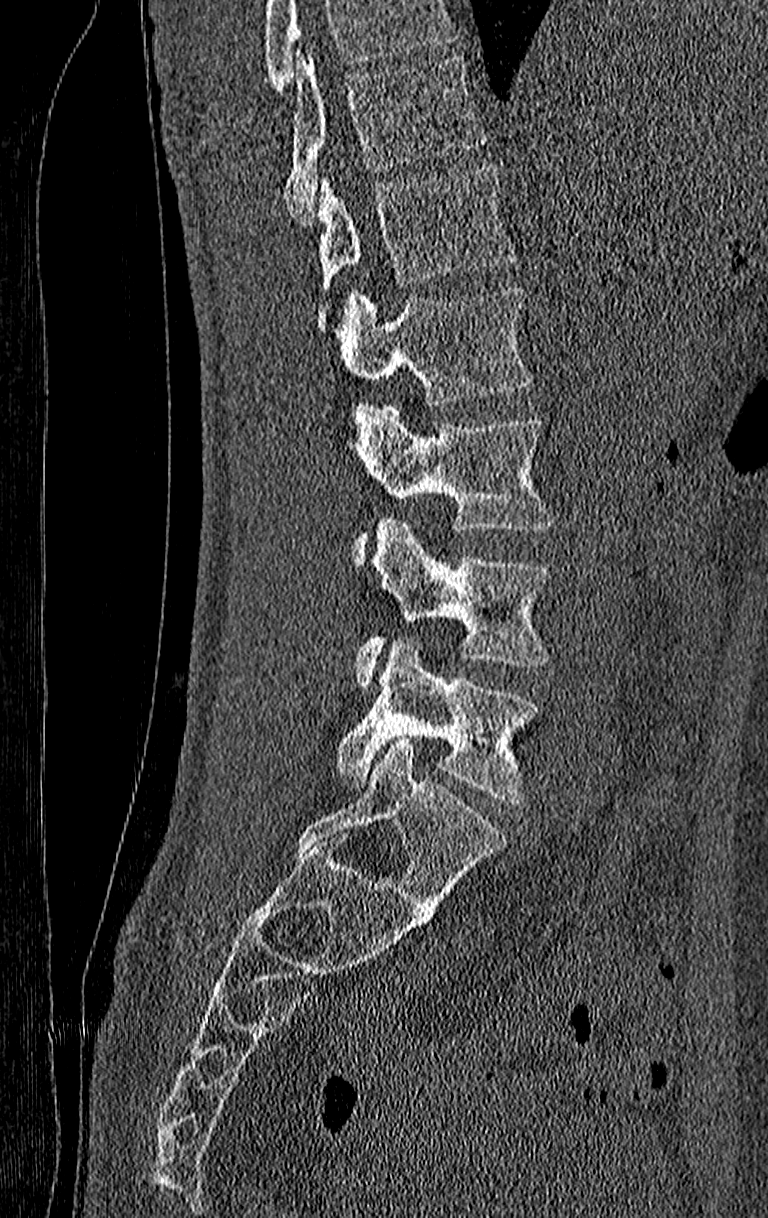 CT, spine. sagittal view. the image spans 210 mm across. 768x1218 px

Boxes: x1 y1 x2 y2 (pixel coords, space-separated). No box is given to a vertebra that the top edge of the scan cuts off. This scan's labels start at T11 at the top and end at L4 at the bottom. Vertebrae labeled: T11 at 284 56 488 223, T12 at 317 166 517 330, L1 at 340 286 532 405, L2 at 353 406 554 563, L3 at 357 517 550 687, L4 at 335 637 539 804.